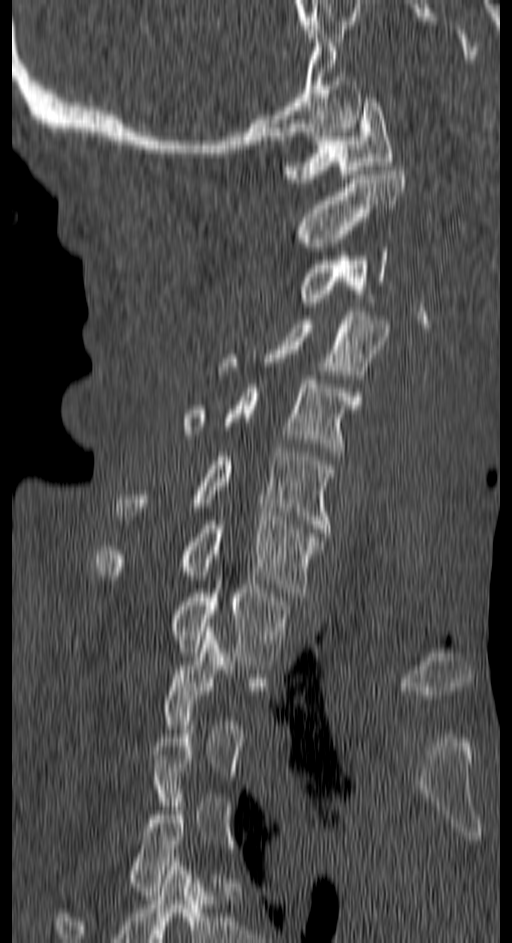

Spine CT — sagittal view — 512x943 px — image 150 mm wide

Boxes: x1 y1 x2 y2 (pixel coords, space-separated).
A vertebra gets a box only on the slices from the first to the last where its cross-section is at least a third of its largest; on a slice outside that range it gets none.
Vertebra bounding boxes:
- T4: 53 798 185 942
- T1: 73 585 287 665
- C7: 93 516 321 596
- C6: 114 448 335 532
- C5: 183 375 362 456
- C4: 219 311 390 383
- C3: 298 247 387 302
- C2: 291 166 406 251
- C1: 281 98 394 182